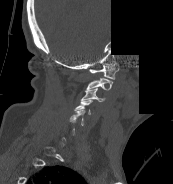
CT spine; sagittal reformat; 173 mm wide; 173x184 px; part of the image is constant black where the scan was masked. Boxes: x1 y1 x2 y2 (pixel coords, space-separated). Each vertebra is boxed only on the slices from the first to the last where its cross-section reaches a third of its largest, so a slice outside that range leaves it unboxed. The labeled vertebrae in this slice are: C5 at 69 110 85 125, C4 at 74 99 92 114, C3 at 82 87 105 101, C2 at 86 78 113 90, C1 at 89 62 119 79.